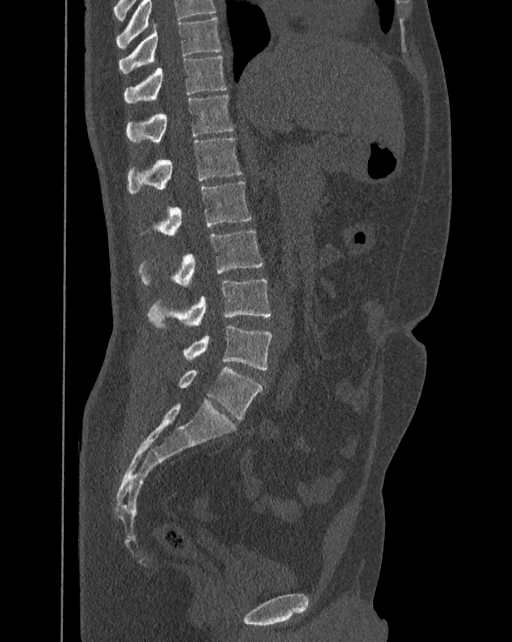

CT spine; the image spans 392 mm across; sagittal view; bone-window reconstruction

This scan's labels start at T10 at the top and end at L6 at the bottom.
In these labels the spine has an L6, a sixth lumbar vertebra below L5.
<vertebrae><v name="T10" x1="119" y1="18" x2="221" y2="73"/><v name="T11" x1="124" y1="55" x2="226" y2="102"/><v name="T12" x1="127" y1="94" x2="233" y2="144"/><v name="L1" x1="128" y1="138" x2="242" y2="194"/><v name="L2" x1="138" y1="181" x2="251" y2="236"/><v name="L3" x1="137" y1="230" x2="263" y2="286"/><v name="L4" x1="146" y1="279" x2="271" y2="328"/><v name="L5" x1="183" y1="324" x2="272" y2="369"/><v name="L6" x1="177" y1="367" x2="261" y2="420"/></vertebrae>